Computed tomography of the spine — sagittal reformat — Bone window (WL 400, WW 1800)
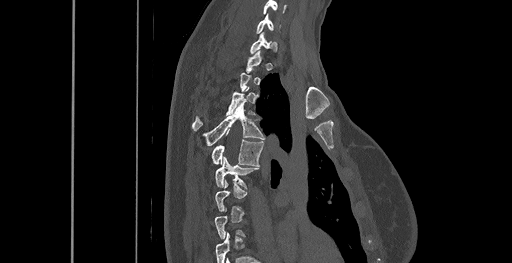 Box edges are left/top/right/bottom in pixels.
Each vertebra is boxed only on the slices from the first to the last where its cross-section reaches a third of its largest, so a slice outside that range leaves it unboxed.
The highest labeled vertebra in this scan is C6; the lowest is T8.
| vertebra | x1 | y1 | x2 | y2 |
|---|---|---|---|---|
| C6 | 256 | 14 | 280 | 34 |
| T3 | 192 | 87 | 248 | 131 |
| T4 | 203 | 103 | 264 | 145 |
| T5 | 211 | 133 | 263 | 166 |
| T6 | 215 | 157 | 258 | 189 |